CT, spine. sagittal view. bone window
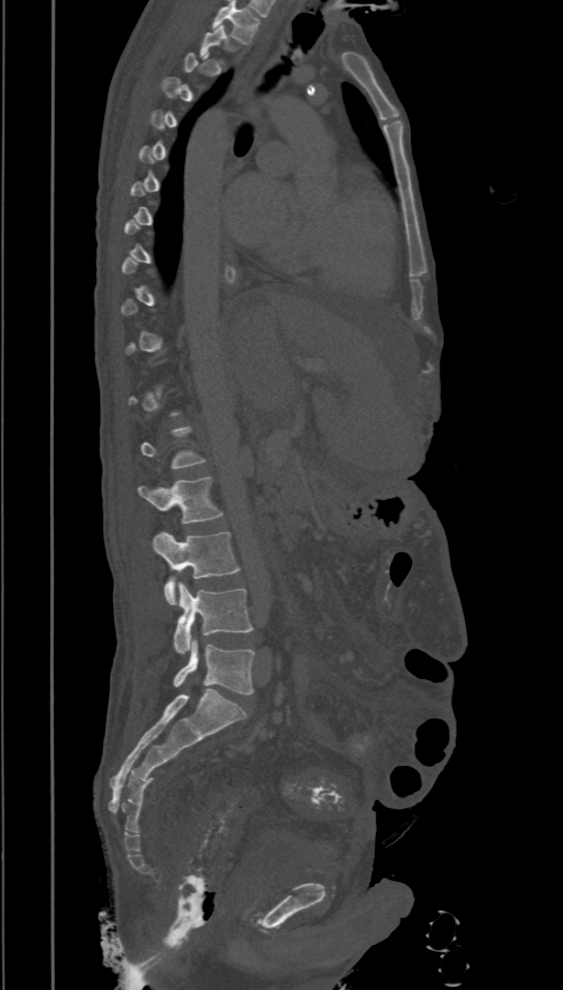

Box edges are left/top/right/bottom in pixels. A vertebra gets a box only on the slices from the first to the last where its cross-section is at least a third of its largest; on a slice outside that range it gets none. The labeled vertebrae in this slice are: L2 at left=139, top=476, right=223, bottom=524, L3 at left=153, top=532, right=240, bottom=605, L4 at left=174, top=581, right=253, bottom=654, L5 at left=173, top=640, right=254, bottom=695.